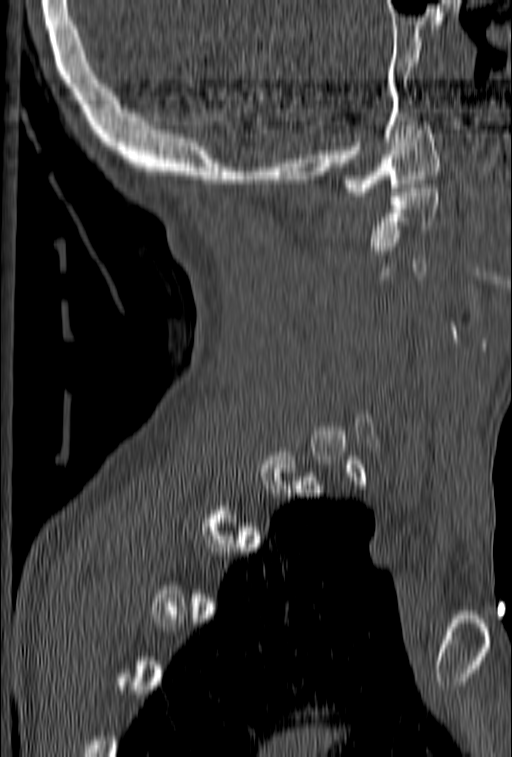 CT. sagittal reformat. W/L 1800/400 HU. the image spans 153 mm across. 512x757 px

Boxes: x1:y1:x2:y2 in pixels.
A vertebra is boxed only from the first to the last slice where its cross-section is at least a third of its largest; slices outside that range leave it without a box.
Vertebra bounding boxes:
- C1: 341:121:441:196
- C2: 369:184:439:246